CT spine; sagittal plane, index 97; 173 mm across the image; scan covers 8 annotated vertebrae; a region of this slice is masked with a uniform fill
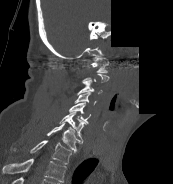
Each vertebra maps to its box as [x1, y1, x2, y2], the pixel coordinates of its top-left and bottom-right corners.
A vertebra gets a box only on the slices from the first to the last where its cross-section is at least a third of its largest; on a slice outside that range it gets none.
The highest labeled vertebra in this scan is C1; the lowest is T1.
{"vertebrae":{"C1":[91,58,109,73],"C3":[77,82,102,95],"C4":[74,92,96,105],"C5":[69,102,90,123],"C6":[59,111,87,141],"C7":[47,122,82,152],"T1":[13,140,72,164]}}